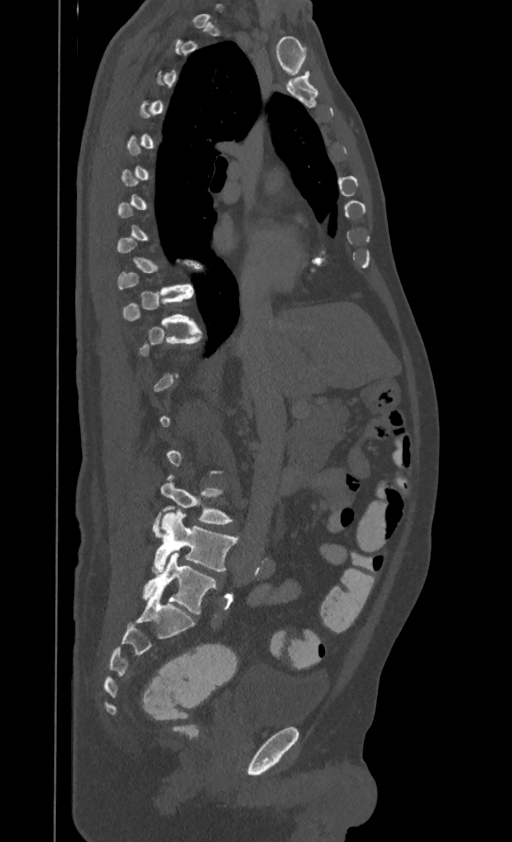
Spine CT; 395 mm wide; sagittal view
Bounding boxes as [x1, y1, x2, y2] in pixel coordinates. A vertebra is boxed only from the first to the last slice where its cross-section is at least a third of its largest; slices outside that range leave it without a box. Labels in this scan begin with T1 at the top and end with L4 at the bottom. Vertebrae labeled: T10 at [123, 293, 195, 326], L3 at [153, 475, 232, 536], L4 at [152, 510, 237, 573].